Spine CT — sagittal view — W/L 1800/400 HU — 9 vertebrae labeled in this scan
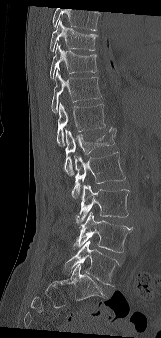

Boxes: x1:y1:x2:y2 in pixels.
Where the top of the scan cuts through a vertebra, that vertebra gets no label or box.
L5: 64:240:119:286
L4: 73:212:133:252
L3: 76:184:129:227
L2: 72:152:125:199
L1: 64:127:116:175
T12: 56:102:105:146
T11: 51:70:101:113
T10: 50:44:97:79
T9: 49:19:97:51